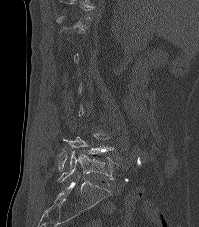

Computed tomography of the spine; sagittal view; 199x227 px
Coordinates as <box>x1,y1,x2,y2</box>.
Each vertebra is boxed only on the slices from the first to the last where its cross-section reaches a third of its largest, so a slice outside that range leaves it unboxed.
Vertebra bounding boxes:
- L5: <box>57,151,118,182</box>
- L4: <box>59,133,113,171</box>